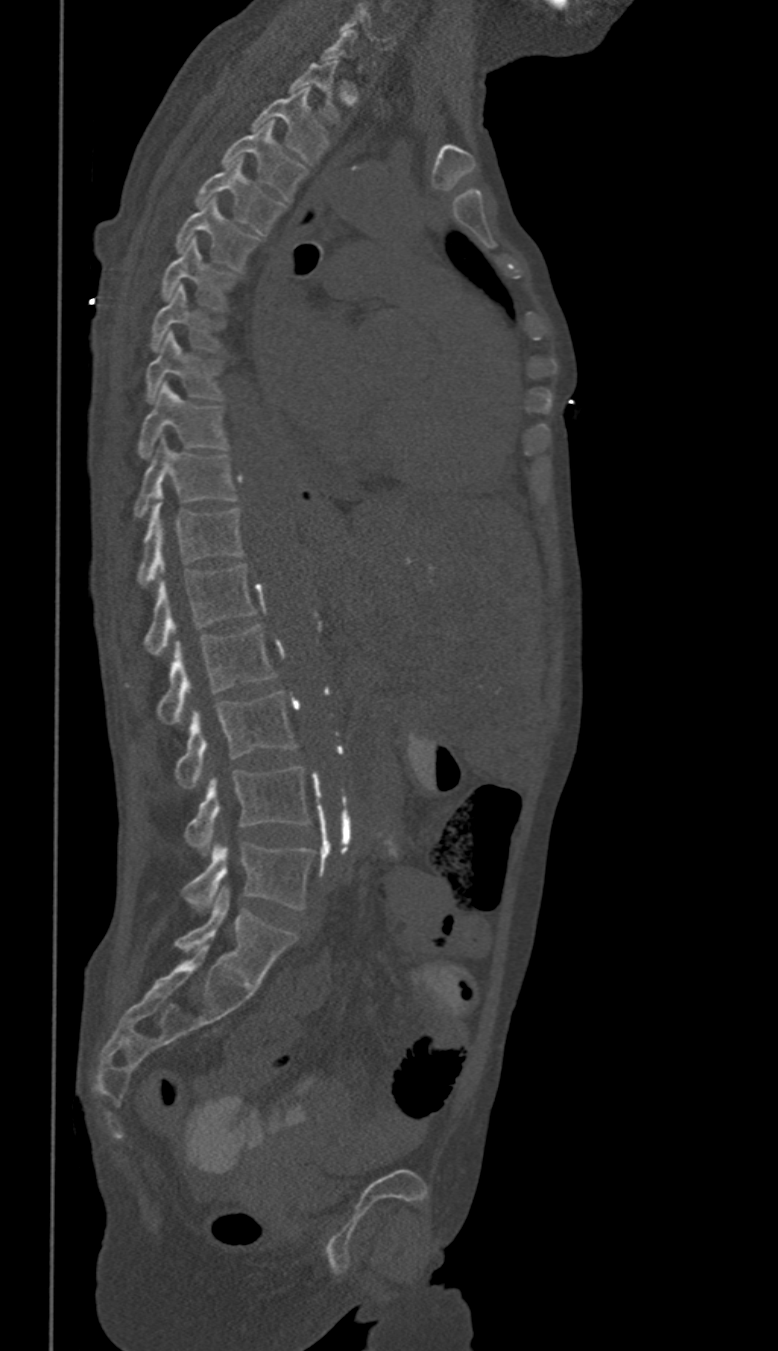 CT, spine. sagittal view
Coordinates as <box>x1,y1,x2,y2</box>. Each vertebra is boxed only on the slices from the first to the last where its cross-section reaches a third of its largest, so a slice outside that range leaves it unboxed. In these labels the spine has no T12: the thoracic vertebrae end at T11, and L1 comes next. 16 vertebrae labeled — L5 at <box>182,843,313,913</box>; L4 at <box>184,767,310,855</box>; L3 at <box>175,692,297,788</box>; L2 at <box>158,625,274,724</box>; L1 at <box>144,565,254,655</box>; T11 at <box>137,494,244,586</box>; T10 at <box>134,438,236,517</box>; T9 at <box>137,383,227,457</box>; T8 at <box>146,332,221,402</box>; T7 at <box>150,285,221,351</box>; T6 at <box>163,240,234,308</box>; T5 at <box>175,198,259,271</box>; T4 at <box>194,158,283,235</box>; T3 at <box>222,120,306,199</box>; T2 at <box>254,87,327,164</box>; T1 at <box>289,60,339,122</box>.